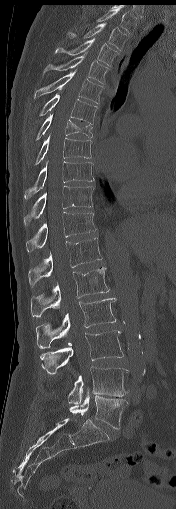
CT, spine · sagittal view · 176x509 px

Boxes: x1 y1 x2 y2 (pixel coords, space-separated).
Vertebra bounding boxes:
- T1: 97 8 136 34
- T2: 67 23 127 51
- T3: 55 38 118 66
- T4: 42 51 108 83
- T5: 34 69 103 103
- T6: 39 93 99 125
- T7: 35 113 92 141
- T8: 35 135 91 164
- T9: 23 160 94 203
- T10: 24 186 93 225
- T11: 26 212 96 252
- T12: 28 238 103 287
- L1: 31 267 109 316
- L2: 36 298 116 348
- L3: 40 330 123 373
- L4: 68 366 129 403
- L5: 69 392 127 429